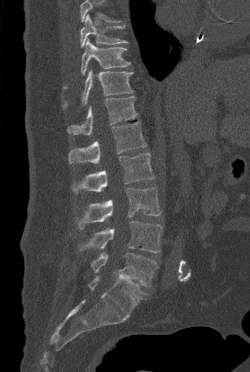 Computed tomography of the spine; sagittal reformat; 250x372 px
Boxes: x1:y1:x2:y2 in pixels. No box is given to a vertebra that the top edge of the scan cuts off. 9 vertebrae labeled — T9 at 80:14:127:47; T10 at 65:39:130:87; T11 at 63:70:133:108; T12 at 67:96:137:135; L1 at 68:121:146:163; L2 at 72:153:154:193; L3 at 76:187:160:229; L4 at 79:221:162:253; L5 at 90:253:158:287.